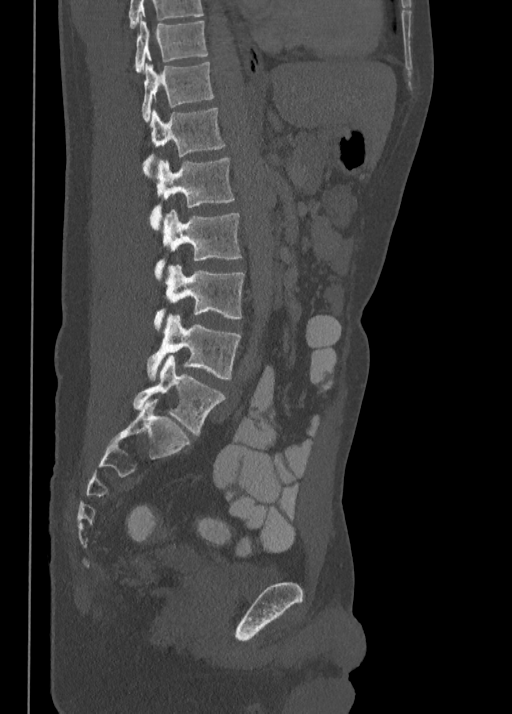

Spine CT · sagittal view · 512x714 px
In this scan, the topmost labeled vertebra is T10 and the lowest is L5.
<vertebrae><v name="T10" x1="134" y1="20" x2="208" y2="71"/><v name="T11" x1="142" y1="61" x2="214" y2="120"/><v name="T12" x1="142" y1="108" x2="226" y2="177"/><v name="L1" x1="149" y1="158" x2="234" y2="229"/><v name="L2" x1="155" y1="209" x2="242" y2="279"/><v name="L3" x1="153" y1="265" x2="245" y2="331"/><v name="L4" x1="146" y1="315" x2="240" y2="379"/><v name="L5" x1="133" y1="355" x2="226" y2="435"/></vertebrae>